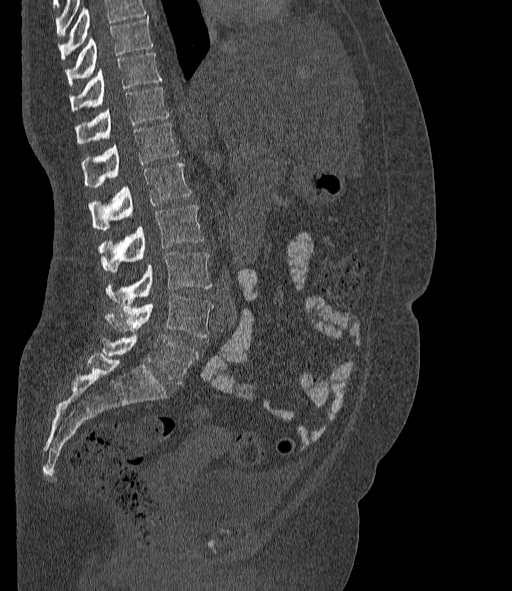

Computed tomography of the spine; the image is 377 mm wide; sagittal view; W/L 1800/400 HU
Box edges are left/top/right/bottom in pixels.
Where the top of the scan cuts through a vertebra, that vertebra gets no label or box.
The labels name a sixth lumbar vertebra for this spine: L6, after L5.
Vertebra bounding boxes:
- L6: left=103, top=334, right=198, bottom=383
- L5: left=106, top=295, right=213, bottom=337
- L4: left=106, top=253, right=211, bottom=303
- L3: left=99, top=205, right=203, bottom=271
- L2: left=89, top=163, right=190, bottom=230
- L1: left=81, top=122, right=178, bottom=186
- T12: left=76, top=87, right=169, bottom=143
- T11: left=70, top=53, right=160, bottom=110
- T10: left=65, top=16, right=152, bottom=85